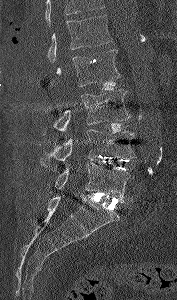 CT — sagittal view — 177x300 px
Each box is [x1, y1, x2, y2] in pixels: top-left corner, then bottom-right corner.
A vertebra cut off by the top edge of the scan is not labeled and has no box.
{"vertebrae":{"L1":[47,15,112,62],"L2":[56,50,121,86],"L3":[53,89,130,131],"L4":[40,129,136,166],"L5":[54,163,134,200]}}